Computed tomography of the spine. sagittal plane, index 227
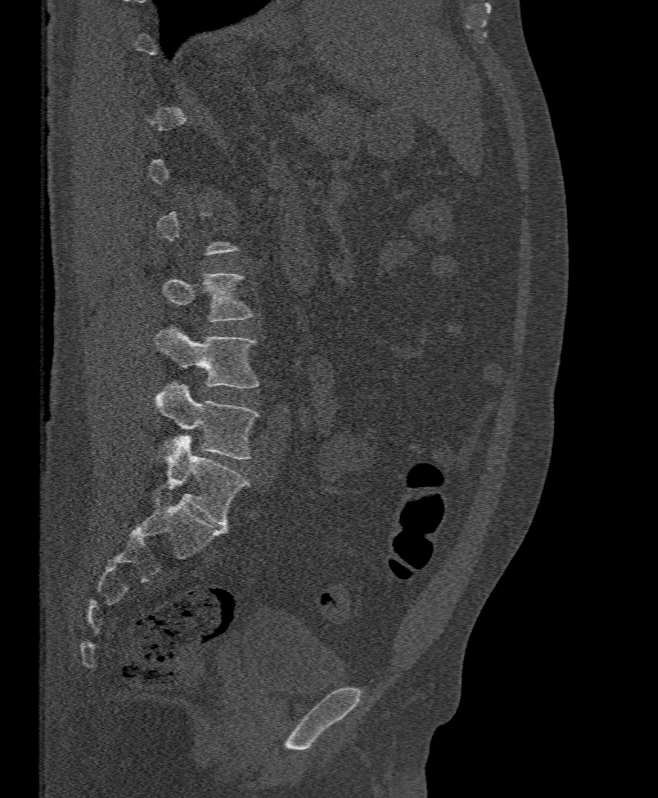

Not every vertebra on this slice has a box: a vertebra is boxed only from the first to the last slice where its cross-section is at least a third of its largest, and this slice is outside that range for at least one of them.
<vertebrae><v name="L3" x1="163" y1="272" x2="254" y2="321"/><v name="L4" x1="154" y1="326" x2="259" y2="387"/><v name="L5" x1="154" y1="382" x2="259" y2="459"/></vertebrae>